CT. sagittal reformat. 12 vertebrae labeled in this scan
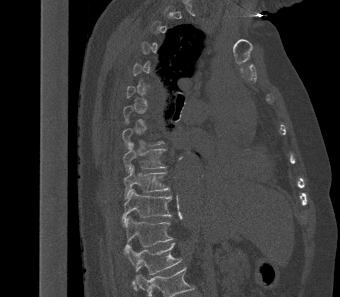

Each vertebra is boxed only on the slices from the first to the last where its cross-section reaches a third of its largest, so a slice outside that range leaves it unboxed.
<vertebrae><v name="T9" x1="123" y1="142" x2="166" y2="172"/><v name="T10" x1="123" y1="165" x2="170" y2="198"/><v name="T11" x1="122" y1="188" x2="172" y2="227"/><v name="T12" x1="124" y1="215" x2="173" y2="251"/><v name="L1" x1="125" y1="242" x2="181" y2="288"/></vertebrae>